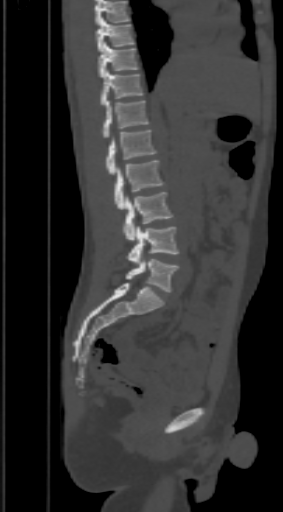
Computed tomography of the spine. sagittal view. 303 mm across the image. 283x512 px

Each box given as x1,y1,x2,y2.
A vertebra cut off by the top edge of the scan is not labeled and has no box.
Vertebra bounding boxes:
- T9: x1=95, y1=17, x2=133, y2=51
- T10: x1=98, y1=42, x2=139, y2=77
- T11: x1=101, y1=70, x2=142, y2=105
- T12: x1=104, y1=100, x2=147, y2=137
- L1: x1=106, y1=129, x2=156, y2=175
- L2: x1=115, y1=160, x2=164, y2=209
- L3: x1=123, y1=192, x2=173, y2=240
- L4: x1=126, y1=226, x2=178, y2=263
- L5: x1=126, y1=259, x2=178, y2=292